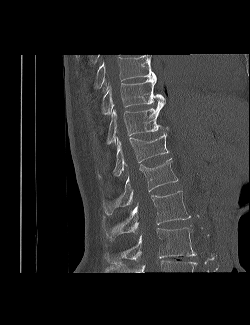

CT · 250 mm image width · sagittal view · bone-window reconstruction

Boxes: x1 y1 x2 y2 (pixel coords, space-separated).
The highest labeled vertebra in this scan is T9; the lowest is L3.
T9: 94 54 156 88
T10: 101 78 165 114
T11: 107 105 168 144
T12: 98 132 169 179
L1: 103 158 178 214
L2: 102 191 190 240
L3: 105 227 196 263